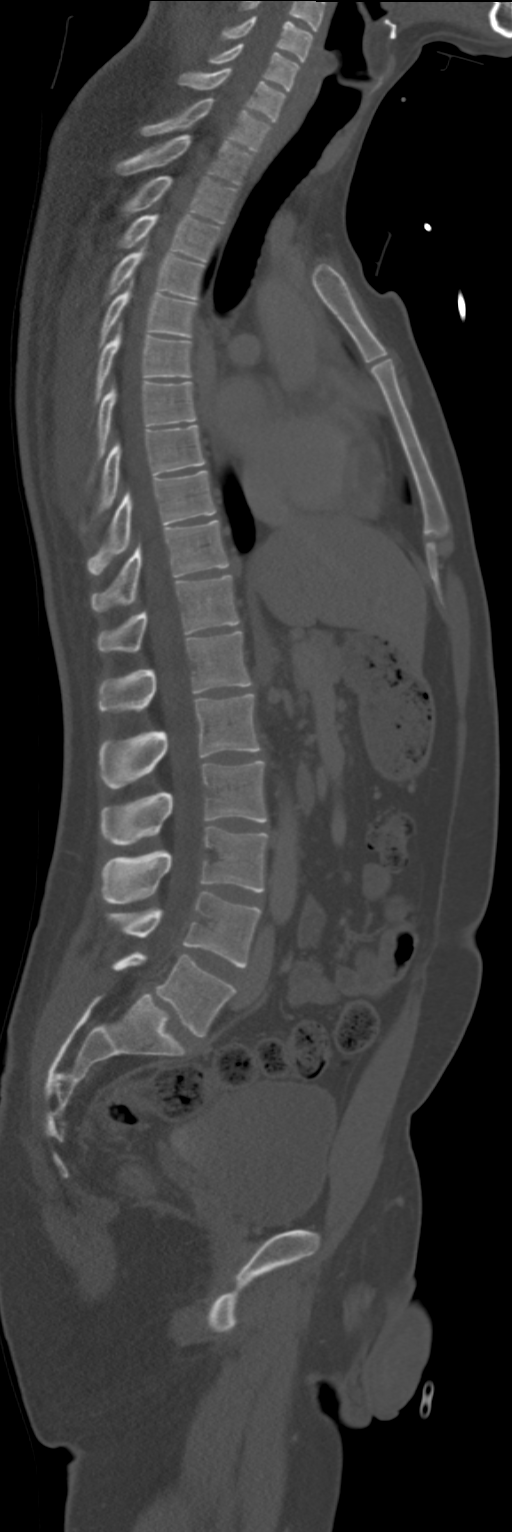

CT, spine — sagittal reformat — 512x1532 px
Box values are [left, top, right, bottom] in pixels.
{"vertebrae":{"C4":[220,16,313,61],"C5":[209,44,297,91],"C6":[178,67,284,122],"C7":[142,98,269,152],"T1":[117,134,252,185],"T2":[123,176,236,223],"T3":[119,214,219,261],"T4":[107,245,202,299],"T5":[100,283,196,345],"T6":[96,327,191,401],"T7":[98,381,196,458],"T8":[98,425,204,511],"T9":[87,470,215,575],"T10":[90,520,229,611],"T11":[98,575,238,651],"T12":[98,631,250,712],"L1":[100,694,259,788],"L2":[102,761,267,844],"L3":[102,826,267,903],"L4":[109,891,261,968],"L5":[113,952,234,1037]}}